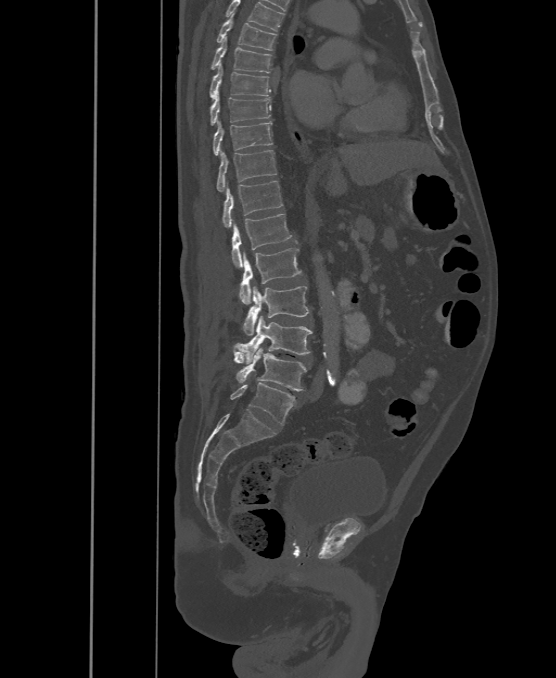

Spine computed tomography. sagittal view. W/L 1800/400 HU. 556x678 px
Each box is [x1, y1, x2, y2] in pixels: top-left corner, then bottom-right corner.
In this scan, the topmost labeled vertebra is T6 and the lowest is L6.
In these labels the spine has an L6, a sixth lumbar vertebra below L5.
{"vertebrae":{"L6":[230,383,295,425],"L5":[232,347,306,390],"L4":[234,316,313,363],"L3":[242,286,309,335],"L2":[239,248,302,304],"L1":[232,214,291,267],"T12":[222,180,282,227],"T11":[217,150,276,192],"T10":[213,120,272,155],"T9":[211,94,271,125],"T8":[211,64,270,97],"T7":[212,36,271,73],"T6":[217,13,276,50]}}